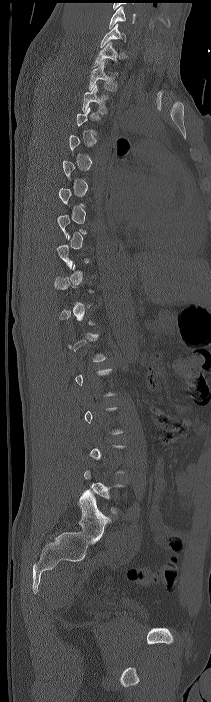
Spine CT. sagittal view

Box edges are left/top/right/bottom in pixels. Not every vertebra on this slice has a box: a vertebra is boxed only from the first to the last slice where its cross-section is at least a third of its largest, and this slice is outside that range for at least one of them. This scan's labels start at C7 at the top and end at L4 at the bottom. Vertebrae labeled: C7 at left=100, top=23, right=125, bottom=47, T1 at left=92, top=41, right=119, bottom=68, T2 at left=89, top=62, right=116, bottom=91, T3 at left=81, top=85, right=107, bottom=113.